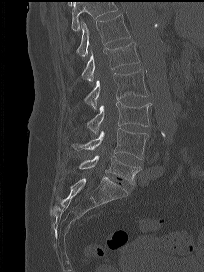 CT. sagittal view. bone-window reconstruction

Where the top of the scan cuts through a vertebra, that vertebra gets no label or box.
<vertebrae><v name="T12" x1="76" y1="14" x2="130" y2="56"/><v name="L1" x1="82" y1="42" x2="139" y2="81"/><v name="L2" x1="84" y1="69" x2="147" y2="109"/><v name="L3" x1="87" y1="102" x2="151" y2="133"/><v name="L4" x1="71" y1="128" x2="148" y2="159"/><v name="L5" x1="79" y1="155" x2="140" y2="185"/></vertebrae>